Spine CT. sagittal reformat. bone-window reconstruction. 350x292 px. scan covers 5 annotated vertebrae
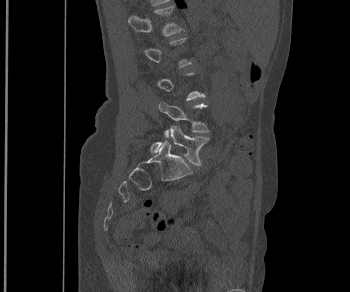
Coordinates as <box>x1,y1,x2,y2</box>.
Each vertebra is boxed only on the slices from the first to the last where its cross-section reaches a third of its largest, so a slice outside that range leaves it unboxed.
L1: <box>129,5,183,35</box>
L4: <box>158,101,209,137</box>
L5: <box>151,126,209,165</box>